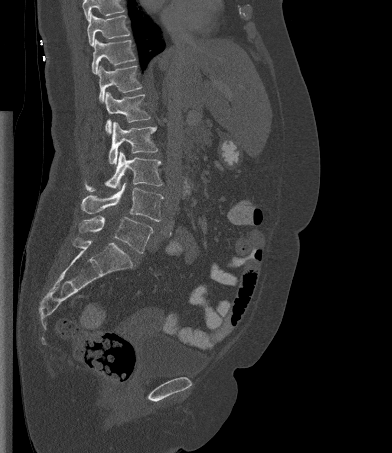
Spine CT — sagittal view
Box edges are left/top/right/bottom in pixels.
Vertebrae that run past the top of the scan are left unlabeled.
| vertebra | x1 | y1 | x2 | y2 |
|---|---|---|---|---|
| L5 | 78 | 215 | 152 | 253 |
| L4 | 81 | 181 | 163 | 221 |
| L3 | 85 | 151 | 162 | 191 |
| L2 | 108 | 121 | 157 | 164 |
| L1 | 105 | 92 | 150 | 134 |
| T12 | 98 | 65 | 142 | 102 |
| T11 | 92 | 39 | 135 | 74 |
| T10 | 87 | 12 | 130 | 46 |